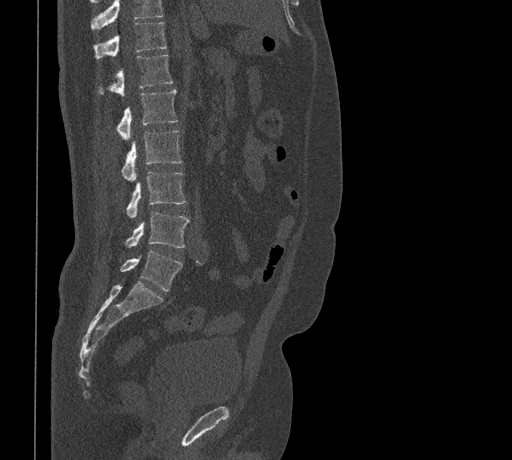
Spine CT. sagittal view. bone-window reconstruction. 512x460 px. In the table, x1 and y1 are a box's top-left corner and x2 and y2 its bottom-right corner, in pixels.
Where the top of the scan cuts through a vertebra, that vertebra gets no label or box.
| vertebra | x1 | y1 | x2 | y2 |
|---|---|---|---|---|
| L5 | 120 | 251 | 182 | 291 |
| L4 | 126 | 212 | 189 | 248 |
| L3 | 127 | 171 | 185 | 218 |
| L2 | 121 | 130 | 182 | 181 |
| L1 | 117 | 89 | 177 | 140 |
| T12 | 99 | 55 | 172 | 96 |
| T11 | 94 | 22 | 166 | 58 |